CT spine — sagittal plane, index 288 — the image spans 336 mm across — bone window — scan covers 8 annotated vertebrae
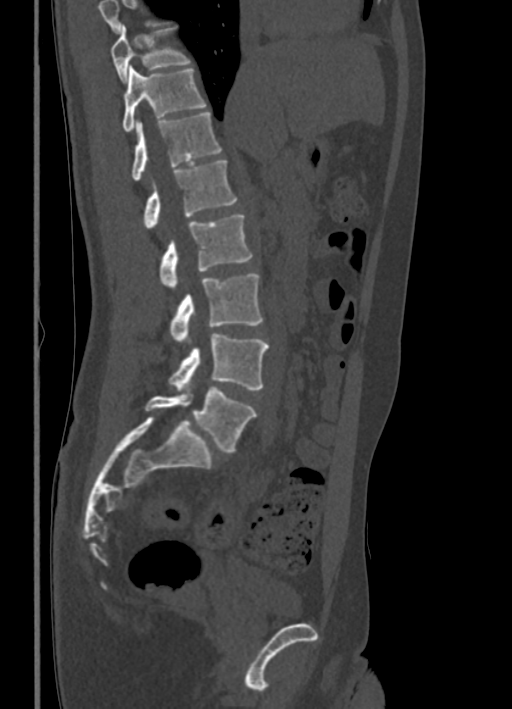
Box values are [left, top, right, bottom] in pixels.
Vertebrae that run past the top of the scan are left unlabeled.
{"vertebrae":{"L5":[145,387,256,451],"L4":[169,334,269,392],"L3":[170,274,262,343],"L2":[160,215,252,290],"L1":[145,160,237,230],"T12":[132,111,221,181],"T11":[123,66,206,132],"T10":[109,24,189,81]}}